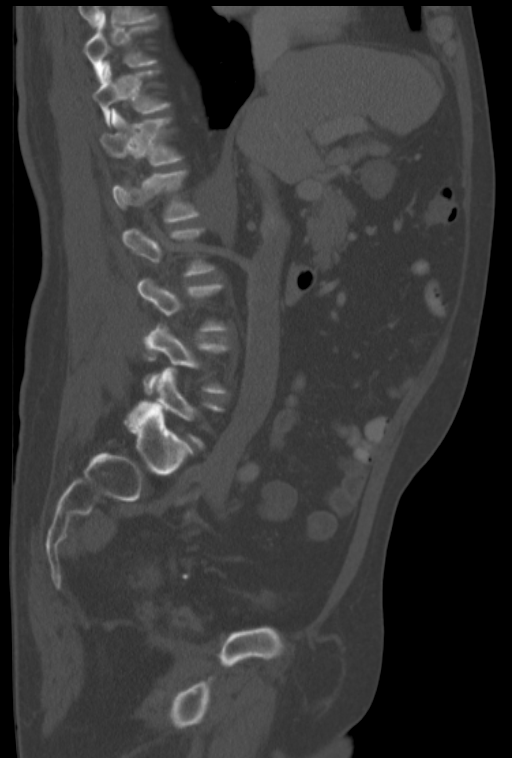 CT, spine — sagittal view
Box values are [left, top, right, bottom] in pixels.
A vertebra is boxed only from the first to the last slice where its cross-section is at least a third of its largest; slices outside that range leave it without a box.
{"vertebrae":{"T10":[83,15,157,80],"T11":[93,62,169,126],"T12":[100,108,182,166],"L1":[112,170,200,222],"L4":[143,324,228,393],"L5":[126,367,222,447]}}